CT, spine — sagittal plane, index 269 — 512x700 px — scan covers 10 annotated vertebrae
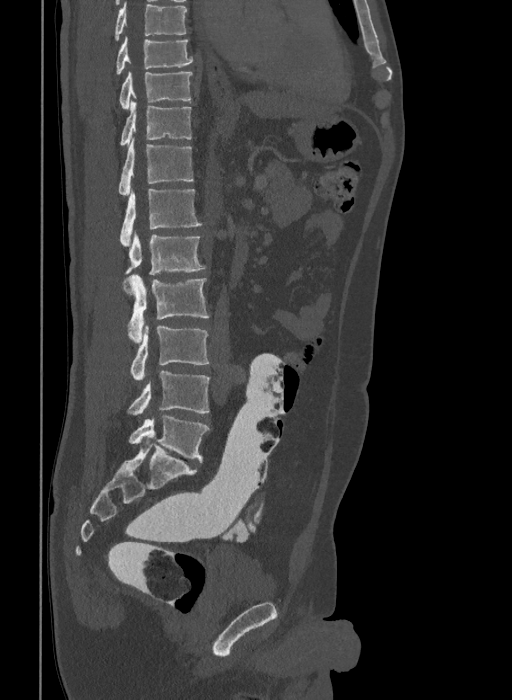 Boxes: x1 y1 x2 y2 (pixel coords, space-separated).
In this scan, the topmost labeled vertebra is T9 and the lowest is L6.
The labels name a sixth lumbar vertebra for this spine: L6, after L5.
Vertebra bounding boxes:
- L6: 128 416 209 462
- L5: 128 371 209 415
- L4: 131 324 209 381
- L3: 127 274 209 343
- L2: 123 232 205 291
- L1: 120 188 202 246
- T12: 118 137 193 195
- T11: 120 99 192 145
- T10: 119 71 192 109
- T9: 116 36 193 74